Spine computed tomography; sagittal view; image width 434 mm; Bone window (WL 400, WW 1800); 512x789 px; 17 vertebrae labeled in this scan
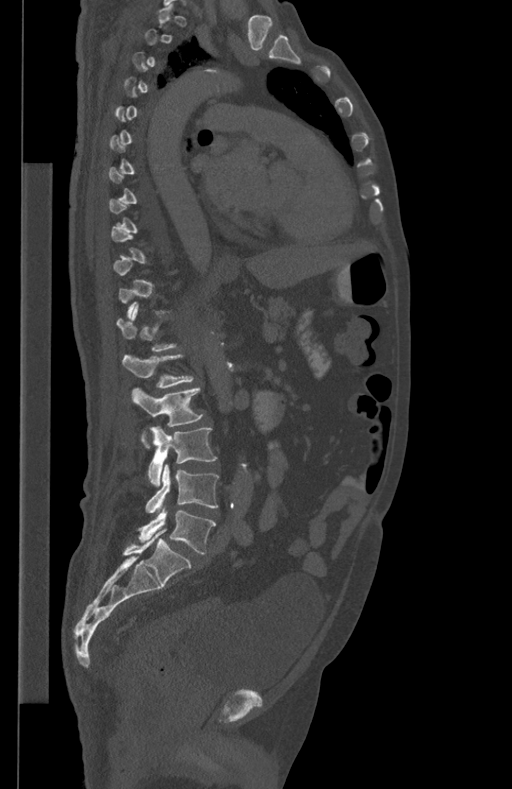 Bounding boxes as [x1, y1, x2, y2] in pixel coordinates. A vertebra gets a box only on the slices from the first to the last where its cross-section is at least a third of its largest; on a slice outside that range it gets none. 5 vertebrae labeled — L5 at [138, 506, 216, 553]; L4 at [145, 463, 218, 512]; L3 at [147, 426, 216, 486]; L2 at [131, 388, 203, 446]; L1 at [123, 355, 194, 387].